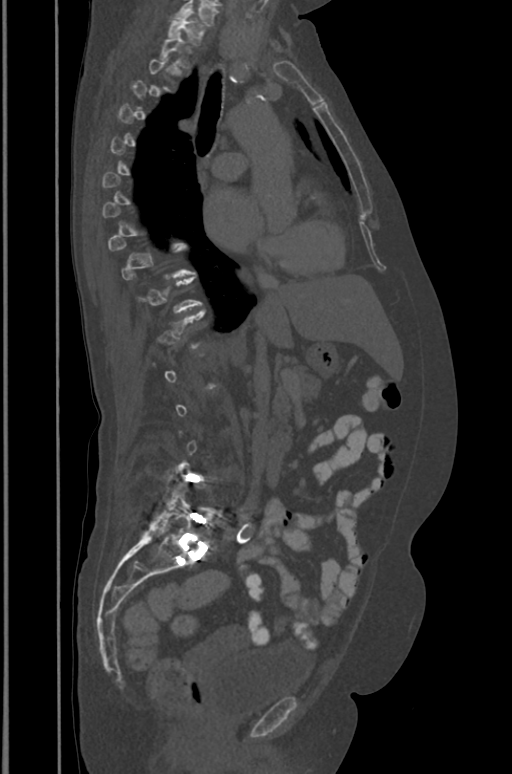

CT spine · sagittal view · bone-window reconstruction · 512x774 px. In the table, x1 and y1 are a box's top-left corner and x2 and y2 its bottom-right corner, in pixels.
Each vertebra is boxed only on the slices from the first to the last where its cross-section reaches a third of its largest, so a slice outside that range leaves it unboxed.
| vertebra | x1 | y1 | x2 | y2 |
|---|---|---|---|---|
| L5 | 149 | 489 | 213 | 547 |
| T1 | 168 | 13 | 203 | 44 |